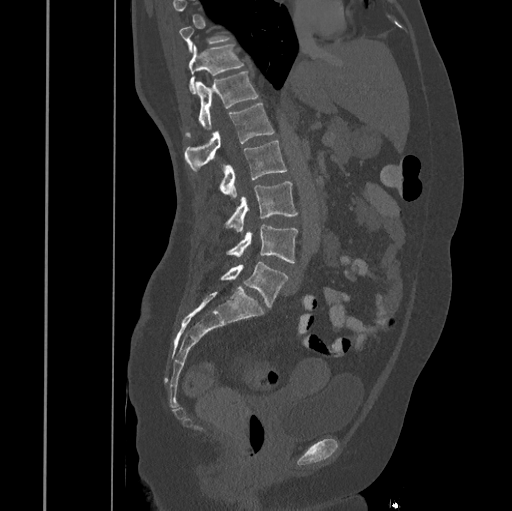

CT · sagittal view · Bone window (WL 400, WW 1800) · 512x511 px
Each vertebra is boxed only on the slices from the first to the last where its cross-section reaches a third of its largest, so a slice outside that range leaves it unboxed.
<vertebrae><v name="T11" x1="189" y1="45" x2="243" y2="93"/><v name="T12" x1="186" y1="71" x2="258" y2="137"/><v name="L1" x1="184" y1="104" x2="274" y2="171"/><v name="L2" x1="220" y1="140" x2="287" y2="198"/><v name="L3" x1="225" y1="181" x2="297" y2="232"/><v name="L4" x1="227" y1="224" x2="297" y2="262"/><v name="L5" x1="221" y1="262" x2="288" y2="308"/></vertebrae>